Spine CT — sagittal reformat — 512x757 px — 11 vertebrae labeled in this scan
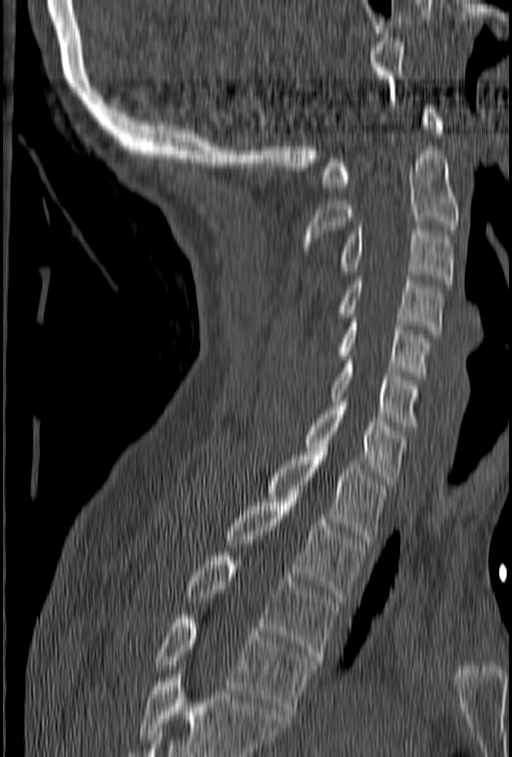
No box is given to a vertebra that the bottom edge of the scan cuts off.
<vertebrae><v name="C1" x1="322" y1="105" x2="443" y2="191"/><v name="C2" x1="302" y1="151" x2="459" y2="254"/><v name="C3" x1="339" y1="226" x2="454" y2="283"/><v name="C4" x1="339" y1="276" x2="442" y2="334"/><v name="C5" x1="339" y1="314" x2="429" y2="380"/><v name="C6" x1="331" y1="360" x2="418" y2="430"/><v name="C7" x1="304" y1="397" x2="405" y2="484"/><v name="T1" x1="267" y1="452" x2="386" y2="543"/><v name="T2" x1="226" y1="494" x2="366" y2="597"/><v name="T3" x1="185" y1="552" x2="338" y2="660"/><v name="T4" x1="155" y1="615" x2="315" y2="714"/></vertebrae>